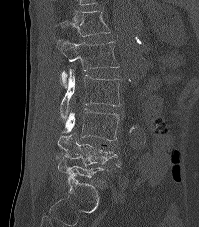 Spine CT — sagittal view
Boxes: x1 y1 x2 y2 (pixel coords, space-separated).
In this scan, the topmost labeled vertebra is T12 and the lowest is L5.
T12: 53 11 110 36
L1: 57 40 119 88
L2: 60 69 120 118
L3: 61 108 119 141
L4: 57 132 120 167
L5: 58 159 104 178